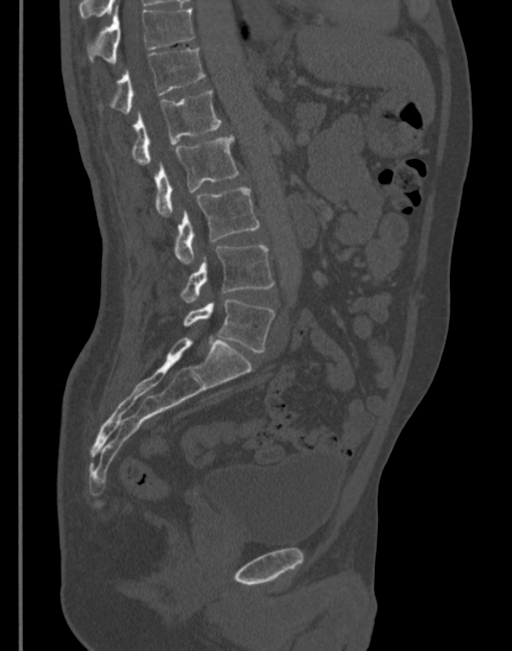 Computed tomography of the spine · sagittal view · Bone window (WL 400, WW 1800). Columns x1, y1, x2, y2 give each box's top-left and bottom-right pixels.
| vertebra | x1 | y1 | x2 | y2 |
|---|---|---|---|---|
| L5 | 184 | 299 | 275 | 352 |
| L4 | 181 | 245 | 273 | 301 |
| L3 | 173 | 186 | 260 | 264 |
| L2 | 154 | 135 | 238 | 216 |
| L1 | 107 | 90 | 221 | 164 |
| T12 | 98 | 49 | 205 | 114 |
| T11 | 87 | 7 | 193 | 62 |